Spine CT; sagittal view; bone window; 173x184 px; a portion of the image is blanked out (constant pixel value)
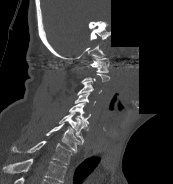

In the table, x1 and y1 are a box's top-left corner and x2 and y2 its bottom-right corner, in pixels.
Not every vertebra on this slice has a box: a vertebra is boxed only from the first to the last slice where its cross-section is at least a third of its largest, and this slice is outside that range for at least one of them.
The highest labeled vertebra in this scan is C1; the lowest is T1.
| vertebra | x1 | y1 | x2 | y2 |
|---|---|---|---|---|
| T1 | 12 | 140 | 72 | 164 |
| C7 | 46 | 123 | 82 | 152 |
| C6 | 58 | 112 | 88 | 142 |
| C5 | 69 | 102 | 90 | 123 |
| C4 | 74 | 92 | 96 | 105 |
| C3 | 77 | 82 | 102 | 95 |
| C1 | 90 | 58 | 109 | 73 |